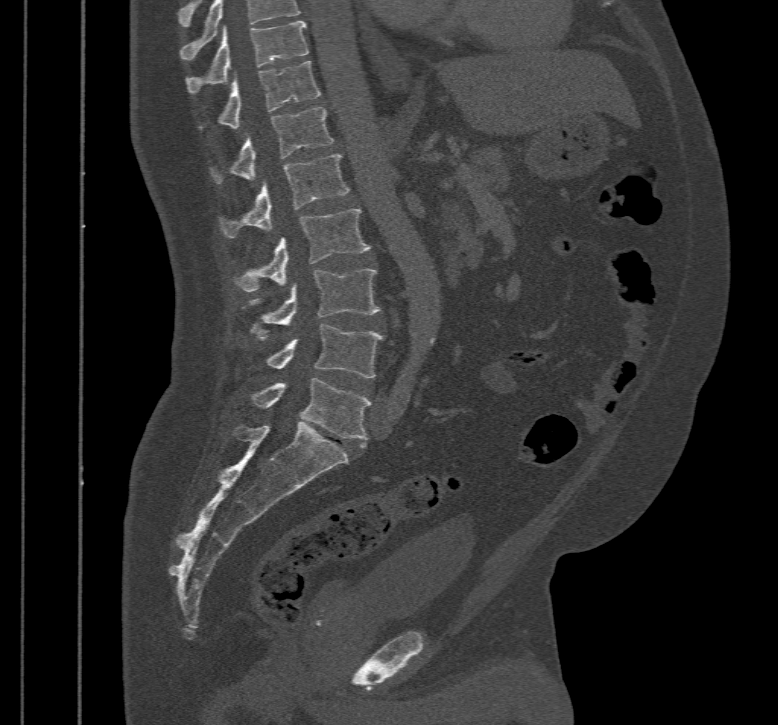 Computed tomography of the spine. sagittal reformat. 467 mm wide

Each row gives a vertebra's box as x1, y1, x2, y2 in pixels: top-left corner, then bottom-right corner.
In this scan, the topmost labeled vertebra is T10 and the lowest is L5.
| vertebra | x1 | y1 | x2 | y2 |
|---|---|---|---|---|
| T10 | 185 | 20 | 309 | 94 |
| T11 | 198 | 60 | 321 | 129 |
| T12 | 210 | 107 | 333 | 183 |
| L1 | 219 | 154 | 349 | 238 |
| L2 | 231 | 209 | 370 | 291 |
| L3 | 243 | 268 | 381 | 338 |
| L4 | 265 | 324 | 385 | 378 |
| L5 | 245 | 377 | 370 | 447 |